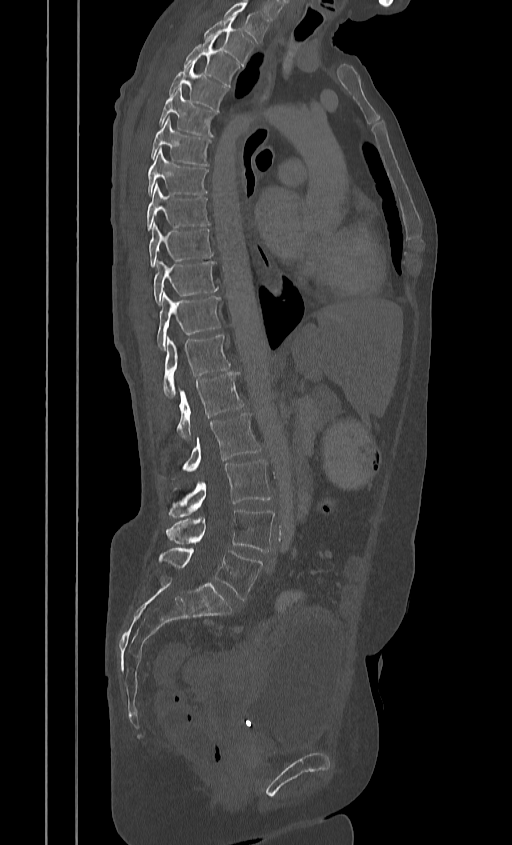
Spine CT · sagittal view · 384 mm wide · bone window · 512x845 px

Boxes are given in columns x1, y1, x2, y2, the pixel coordinates of their top-left and bottom-right corners.
In this scan, the topmost labeled vertebra is T2 and the lowest is L5.
| vertebra | x1 | y1 | x2 | y2 |
|---|---|---|---|---|
| L5 | 161 | 548 | 261 | 600 |
| L4 | 166 | 509 | 275 | 552 |
| L3 | 168 | 460 | 271 | 518 |
| L2 | 184 | 413 | 261 | 472 |
| L1 | 176 | 372 | 244 | 440 |
| T12 | 162 | 335 | 229 | 398 |
| T11 | 157 | 291 | 220 | 350 |
| T10 | 153 | 259 | 217 | 304 |
| T9 | 149 | 221 | 212 | 267 |
| T8 | 146 | 183 | 208 | 230 |
| T7 | 148 | 148 | 207 | 195 |
| T6 | 150 | 116 | 209 | 166 |
| T5 | 158 | 88 | 215 | 136 |
| T4 | 169 | 60 | 225 | 110 |
| T3 | 184 | 37 | 238 | 86 |
| T2 | 204 | 17 | 251 | 66 |